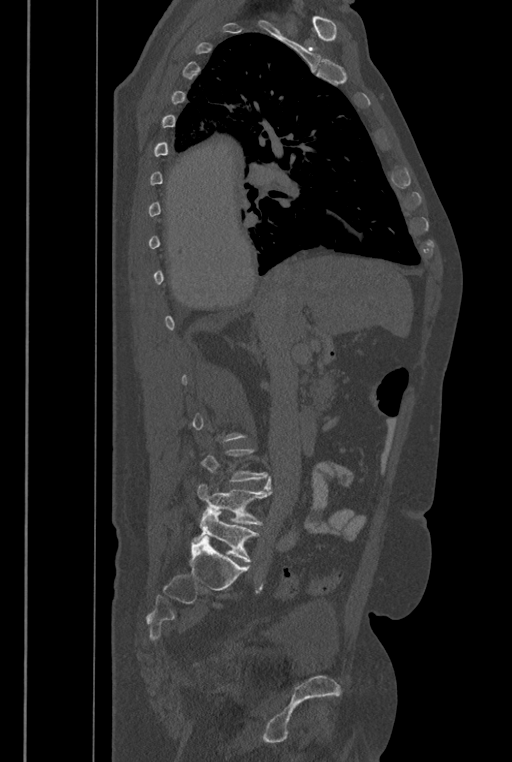
CT, spine · 446 mm across the image · sagittal reformat
Boxes are (x1, y1, x2, y2) in pixels.
A vertebra is boxed only from the first to the last slice where its cross-section is at least a third of its largest; slices outside that range leave it without a box.
These labels give the spine a sixth lumbar vertebra, L6, below L5.
Vertebra bounding boxes:
- L5: (197, 476, 271, 524)
- L6: (197, 508, 258, 562)